CT. sagittal view. 140 mm image width. 512x782 px
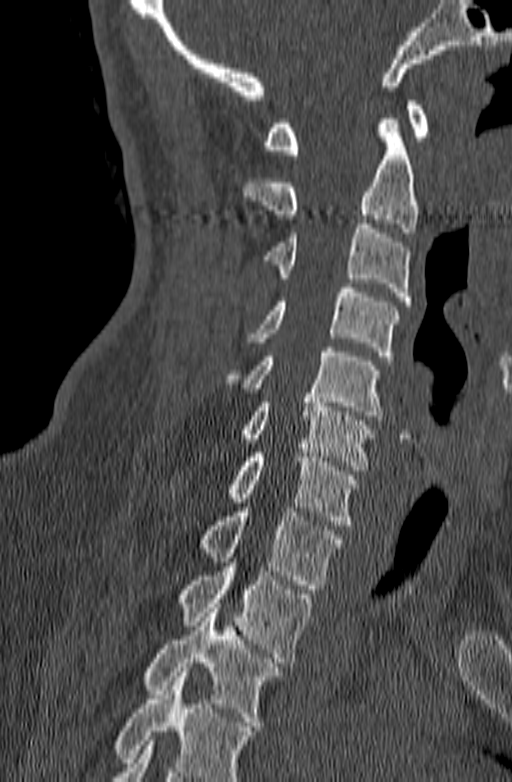
No box is given to a vertebra that the bottom edge of the scan cuts off.
<vertebrae><v name="C1" x1="264" y1="101" x2="429" y2="154"/><v name="C2" x1="241" y1="119" x2="419" y2="232"/><v name="C3" x1="263" y1="219" x2="410" y2="305"/><v name="C4" x1="246" y1="283" x2="399" y2="360"/><v name="C5" x1="224" y1="347" x2="383" y2="420"/><v name="C6" x1="243" y1="393" x2="373" y2="470"/><v name="C7" x1="228" y1="453" x2="359" y2="525"/><v name="T1" x1="199" y1="507" x2="340" y2="589"/><v name="T2" x1="180" y1="558" x2="311" y2="662"/><v name="T3" x1="143" y1="608" x2="281" y2="726"/></vertebrae>